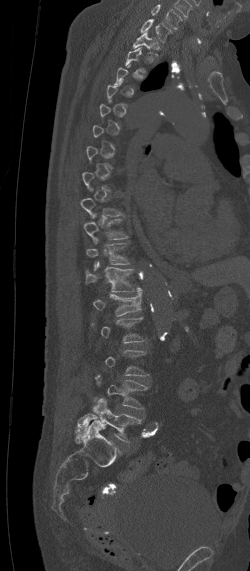

Spine CT · sagittal view · bone window. Boxes are (x1, y1, x2, y2) in pixels.
A vertebra is boxed only from the first to the last slice where its cross-section is at least a third of its largest; slices outside that range leave it without a box.
In this scan, the topmost labeled vertebra is C7 and the lowest is L5.
Vertebra bounding boxes:
- L5: (75, 398, 141, 441)
- L4: (94, 374, 149, 409)
- L1: (93, 286, 143, 315)
- T12: (84, 261, 134, 292)
- T11: (86, 243, 130, 269)
- T10: (84, 214, 127, 244)
- T1: (132, 30, 158, 55)
- C7: (140, 19, 172, 42)